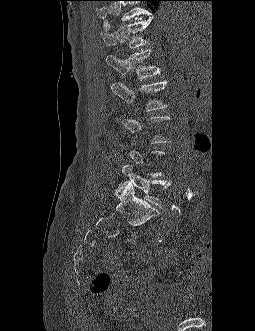
Spine computed tomography — sagittal view — bone-window reconstruction — 255x331 px

Each vertebra maps to its box as [x1, y1, x2, y2], the pixel coordinates of its top-left and bottom-right corners.
Each vertebra is boxed only on the slices from the first to the last where its cross-section reaches a third of its largest, so a slice outside that range leaves it unboxed.
Where the top of the scan cuts through a vertebra, that vertebra gets no label or box.
{"vertebrae":{"T12":[102,17,153,48],"L1":[106,49,160,79],"L2":[111,80,168,111],"L5":[116,164,171,207]}}